CT. sagittal plane, index 288. 190 mm wide
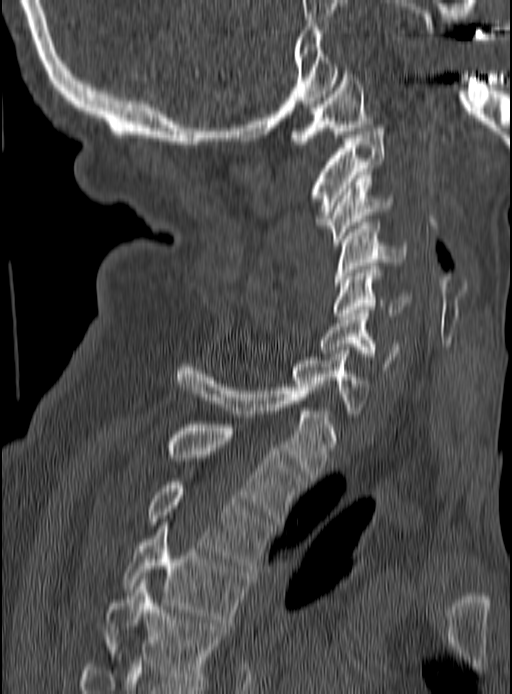
<vertebrae><v name="T5" x1="103" y1="579" x2="226" y2="686"/><v name="T4" x1="122" y1="525" x2="250" y2="622"/><v name="T3" x1="149" y1="482" x2="272" y2="568"/><v name="T2" x1="168" y1="424" x2="304" y2="524"/><v name="T1" x1="175" y1="364" x2="334" y2="481"/><v name="C7" x1="289" y1="350" x2="369" y2="417"/><v name="C6" x1="319" y1="310" x2="399" y2="370"/><v name="C5" x1="332" y1="269" x2="410" y2="319"/><v name="C4" x1="334" y1="222" x2="406" y2="289"/><v name="C3" x1="322" y1="175" x2="395" y2="245"/><v name="C2" x1="308" y1="128" x2="385" y2="225"/><v name="C1" x1="289" y1="74" x2="372" y2="147"/></vertebrae>